Spine computed tomography. sagittal plane, index 300. 140 mm wide. W/L 1800/400 HU
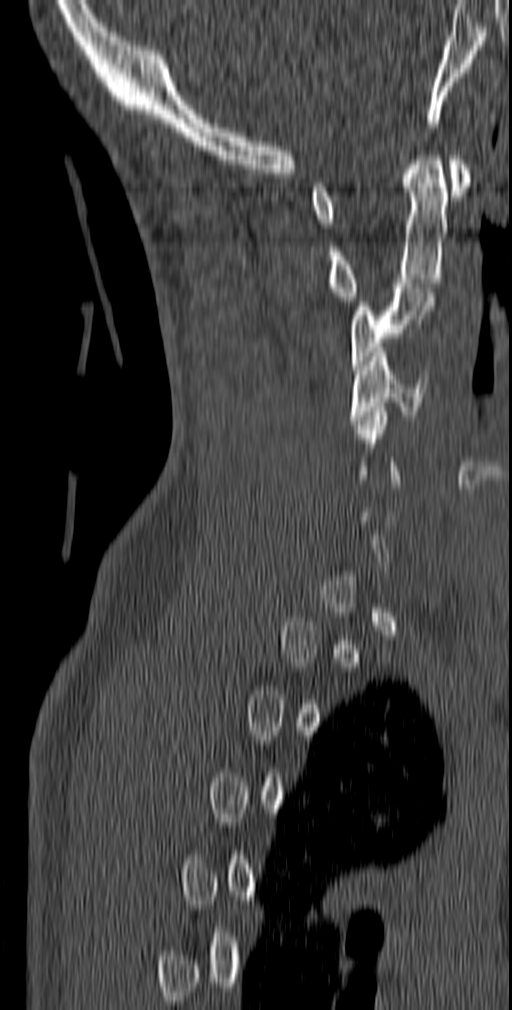
Boxes: x1:y1:x2:y2 in pixels.
A vertebra gets a box only on the slices from the first to the last where its cross-section is at least a third of its largest; on a slice outside that range it gets none.
C4: 349:347:427:424
C3: 349:283:436:369
C2: 327:151:447:301
C1: 311:155:470:223